Spine CT · sagittal view
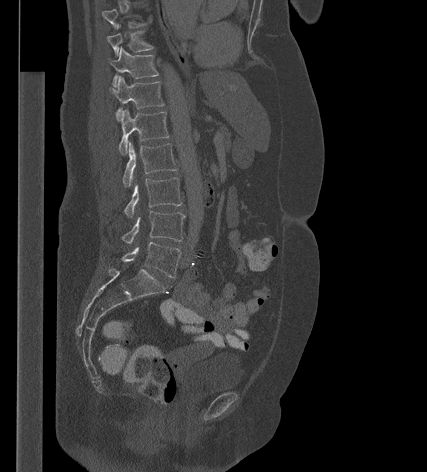
Each row gives a vertebra's box as x1, y1, x2, y2 in pixels: top-left corner, then bottom-right corner.
A vertebra gets a box only on the slices from the first to the last where its cross-section is at least a third of its largest; on a slice outside that range it gets none.
| vertebra | x1 | y1 | x2 | y2 |
|---|---|---|---|---|
| L5 | 117 | 242 | 180 | 277 |
| L4 | 121 | 211 | 185 | 243 |
| L3 | 124 | 178 | 182 | 217 |
| L2 | 122 | 142 | 177 | 186 |
| L1 | 118 | 109 | 169 | 154 |
| T12 | 111 | 76 | 164 | 120 |
| T11 | 110 | 47 | 158 | 87 |
| T10 | 107 | 30 | 153 | 56 |